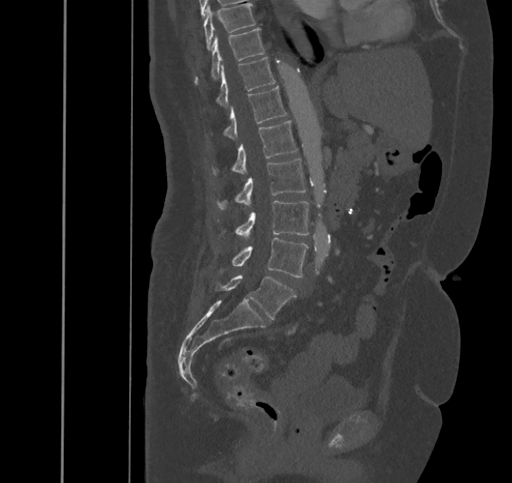

CT, spine; sagittal view; Bone window (WL 400, WW 1800); 512x483 px
<vertebrae><v name="T9" x1="204" y1="3" x2="255" y2="50"/><v name="T10" x1="194" y1="28" x2="265" y2="84"/><v name="T11" x1="215" y1="57" x2="275" y2="107"/><v name="T12" x1="222" y1="86" x2="287" y2="140"/><v name="L1" x1="212" y1="121" x2="298" y2="175"/><v name="L2" x1="216" y1="158" x2="306" y2="209"/><v name="L3" x1="219" y1="201" x2="308" y2="236"/><v name="L4" x1="220" y1="237" x2="307" y2="277"/><v name="L5" x1="215" y1="274" x2="296" y2="319"/></vertebrae>